Spine computed tomography. sagittal view. bone window. 9 vertebrae labeled in this scan. a portion of the image is blanked out (constant pixel value)
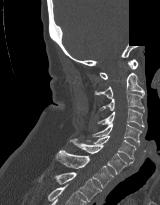
Boxes are (x1, y1, x2, y2) in pixels.
Vertebra bounding boxes:
- C1: (99, 59, 138, 79)
- C2: (94, 72, 144, 98)
- C3: (99, 93, 144, 112)
- C4: (97, 109, 144, 127)
- C5: (92, 123, 143, 146)
- C6: (84, 135, 136, 160)
- C7: (70, 138, 132, 174)
- T1: (55, 150, 114, 189)
- T2: (38, 172, 101, 201)